Computed tomography of the spine · the image spans 140 mm across · sagittal plane, index 183 · bone-window reconstruction
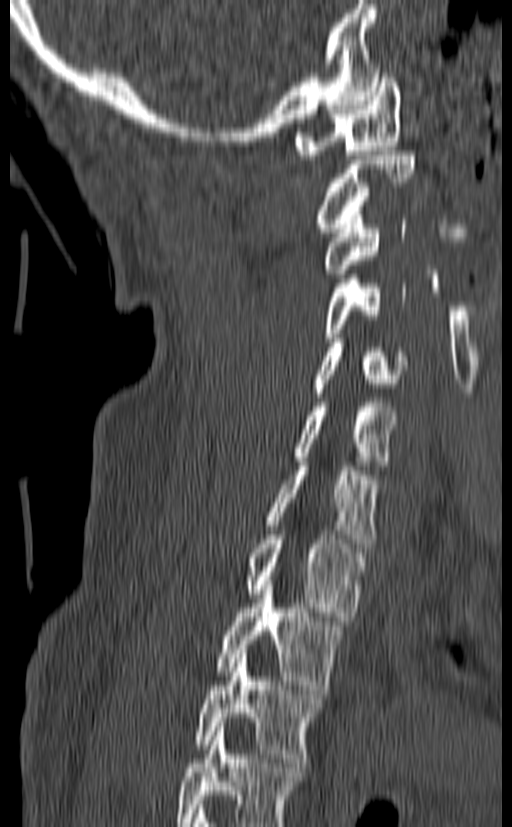 Each row gives a vertebra's box as x1, y1, x2, y2 in pixels: top-left corner, then bottom-right corner.
The highest labeled vertebra in this scan is C1; the lowest is T3.
| vertebra | x1 | y1 | x2 | y2 |
|---|---|---|---|---|
| C1 | 295 | 69 | 401 | 159 |
| C2 | 316 | 151 | 415 | 232 |
| C3 | 323 | 210 | 408 | 278 |
| C4 | 323 | 274 | 406 | 342 |
| C5 | 312 | 338 | 407 | 397 |
| C6 | 294 | 398 | 397 | 474 |
| C7 | 266 | 462 | 377 | 548 |
| T1 | 246 | 530 | 366 | 621 |
| T2 | 217 | 581 | 343 | 694 |
| T3 | 195 | 649 | 322 | 762 |